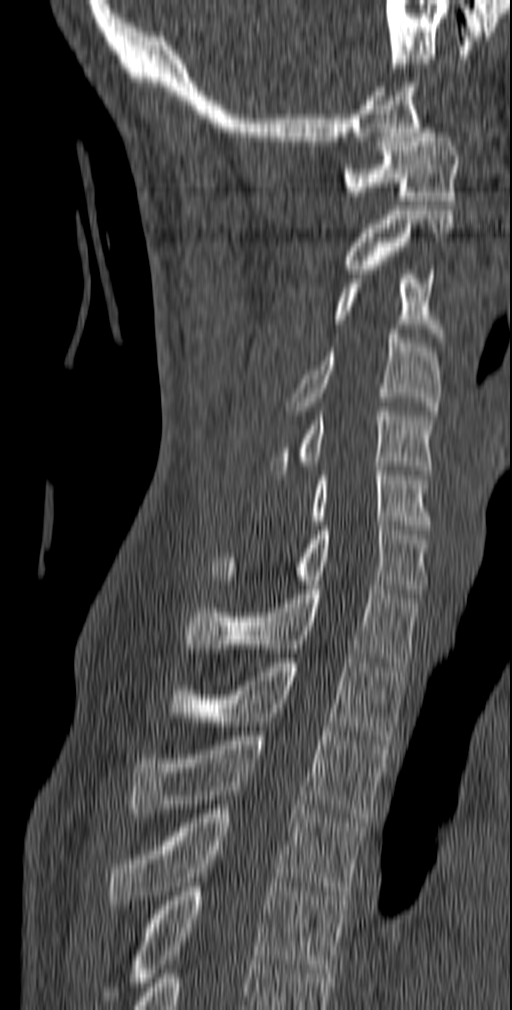

CT, spine. sagittal reformat
Boxes are (x1, y1, x2, y2) in pixels. 12 vertebrae labeled — C1 at (343, 128, 459, 205); C2 at (345, 210, 454, 273); C3 at (334, 270, 445, 346); C4 at (285, 329, 441, 415); C5 at (269, 407, 436, 474); C6 at (309, 466, 431, 529); C7 at (210, 521, 428, 593); T1 at (184, 585, 421, 666); T2 at (166, 658, 408, 740); T3 at (129, 731, 388, 822); T4 at (107, 805, 366, 904); T5 at (102, 882, 348, 1000).